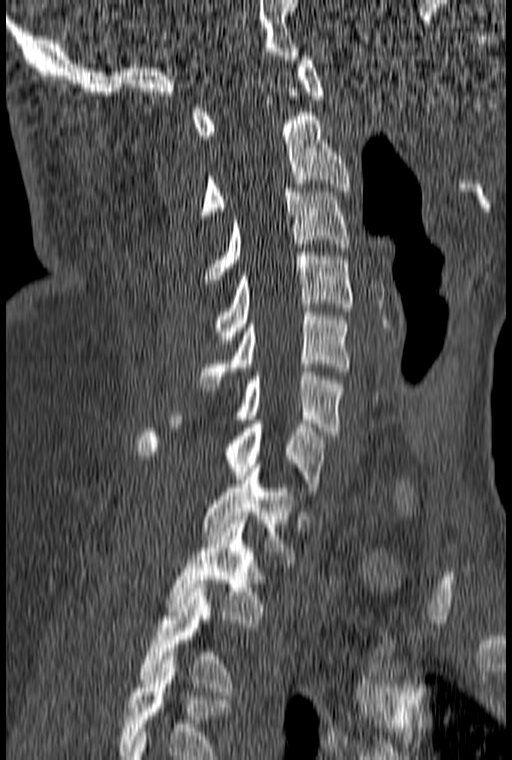 Computed tomography of the spine — sagittal reformat
Boxes are (x1, y1, x2, y2) in pixels. Labels in this scan begin with C1 at the top and end with T3 at the bottom. Vertebrae labeled: C1 at (193, 56, 323, 139), C2 at (200, 112, 349, 219), C3 at (206, 188, 349, 283), C4 at (215, 252, 352, 347), C5 at (200, 308, 349, 387), C6 at (170, 368, 343, 435), C7 at (136, 420, 327, 491), T1 at (203, 464, 297, 563), T2 at (168, 520, 266, 627), T3 at (139, 584, 234, 695).